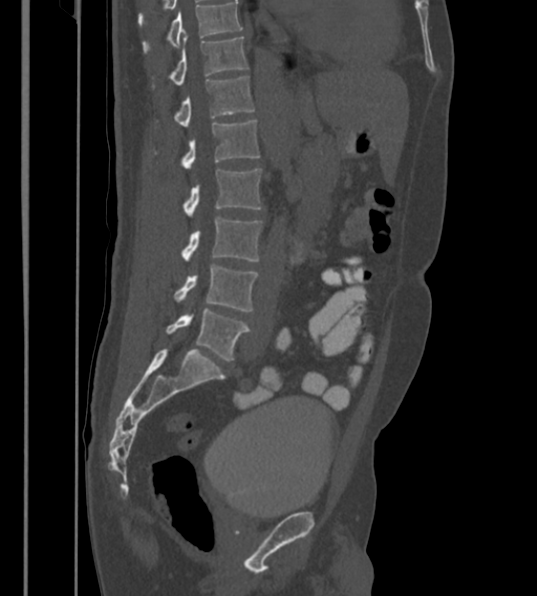
CT spine · sagittal view · 430 mm across the image. Boxes: x1 y1 x2 y2 (pixel coords, space-separated).
This scan's labels start at T12 at the top and end at L6 at the bottom.
In these labels the spine has an L6, a sixth lumbar vertebra below L5.
Vertebra bounding boxes:
- T12: 151 36 248 88
- L1: 174 76 254 126
- L2: 155 120 260 168
- L3: 182 169 261 215
- L4: 181 216 261 261
- L5: 174 265 258 311
- L6: 166 309 250 360